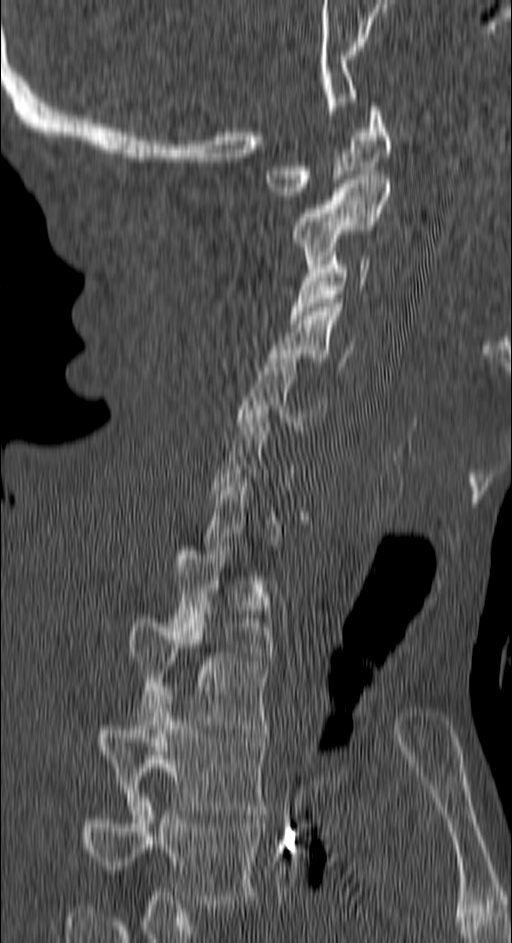
Spine computed tomography. sagittal view. Bone window (WL 400, WW 1800). 512x943 px

Each vertebra is boxed only on the slices from the first to the last where its cross-section reaches a third of its largest, so a slice outside that range leaves it unboxed.
<vertebrae><v name="C1" x1="264" y1="102" x2="393" y2="200"/><v name="C2" x1="291" y1="175" x2="389" y2="268"/><v name="C3" x1="290" y1="252" x2="369" y2="323"/><v name="C4" x1="267" y1="303" x2="352" y2="366"/><v name="C5" x1="235" y1="354" x2="326" y2="430"/><v name="C7" x1="203" y1="469" x2="280" y2="554"/><v name="T1" x1="172" y1="546" x2="271" y2="660"/><v name="T2" x1="128" y1="614" x2="270" y2="733"/><v name="T3" x1="97" y1="691" x2="266" y2="814"/><v name="T4" x1="80" y1="794" x2="260" y2="908"/></vertebrae>